Spine CT. Sagittal slice 288/512. bone window
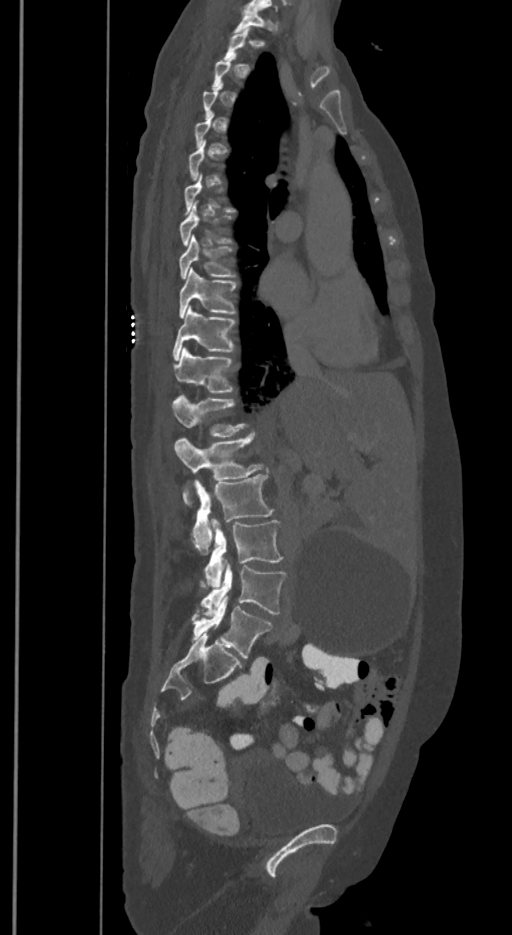 Box edges are left/top/right/bottom in pixels. A vertebra gets a box only on the slices from the first to the last where its cross-section is at least a third of its largest; on a slice outside that range it gets none. The labels name a sixth lumbar vertebra for this spine: L6, after L5. 11 vertebrae labeled — L6 at left=191, top=595, right=271, bottom=657; L5 at left=200, top=562, right=285, bottom=616; L4 at left=205, top=517, right=283, bottom=588; L3 at left=191, top=474, right=272, bottom=553; L2 at left=174, top=432, right=262, bottom=502; L1 at left=172, top=395, right=246, bottom=436; T12 at left=172, top=346, right=233, bottom=393; T11 at left=172, top=305, right=236, bottom=361; T10 at left=180, top=267, right=236, bottom=318; T9 at left=180, top=236, right=236, bottom=278; T1 at left=233, top=9, right=270, bottom=33.